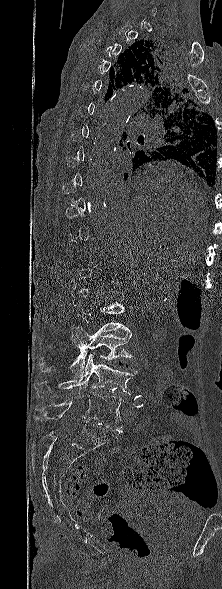
Spine CT. 222 mm wide. sagittal view. 222x589 px. Boxes are (x1, y1, x2, y2) in pixels. A vertebra gets a box only on the slices from the first to the last where its cross-section is at least a third of its largest; on a slice outside that range it gets none. The labeled vertebrae in this slice are: L5 at (35, 392, 123, 432), L4 at (33, 353, 137, 397), L3 at (40, 326, 133, 377), L2 at (73, 303, 129, 347).